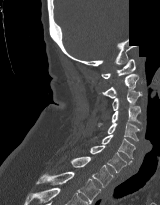
CT spine — sagittal reformat — 160x205 px — a region of this slice is masked with a uniform fill
Coordinates as <box>x1,y1,x2,y2</box>.
Vertebra bounding boxes:
- C1: <box>101,59,135,78</box>
- C2: <box>102,74,138,98</box>
- C3: <box>112,90,142,111</box>
- C4: <box>98,106,141,126</box>
- C5: <box>107,122,142,140</box>
- C6: <box>101,135,135,159</box>
- C7: <box>89,146,132,172</box>
- T1: <box>70,156,114,187</box>
- T2: <box>36,171,101,204</box>